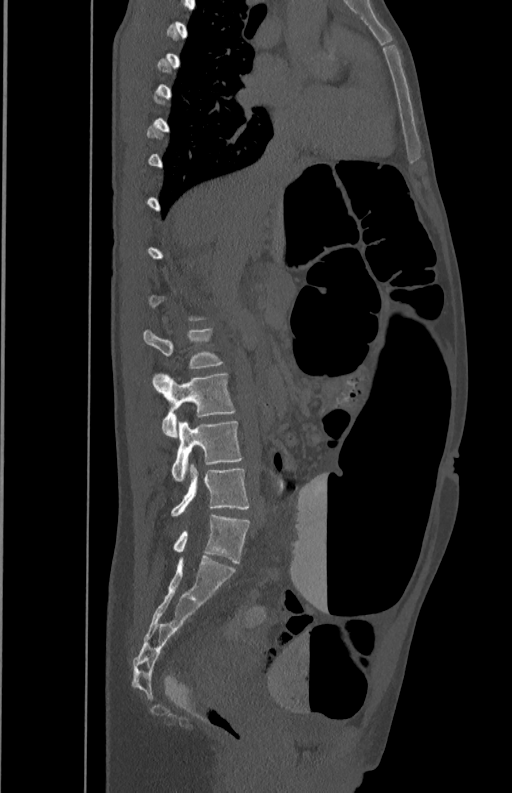

CT — 350 mm image width — sagittal view — 512x793 px
Boxes: x1 y1 x2 y2 (pixel coords, space-separated). A vertebra gets a box only on the slices from the first to the last where its cross-section is at least a third of its largest; on a slice outside that range it gets none. 4 vertebrae labeled — L5 at 171 463 249 516; L4 at 171 421 242 481; L3 at 153 373 234 437; L2 at 143 329 223 369.